Spine CT · the image is 256 mm wide · sagittal reformat
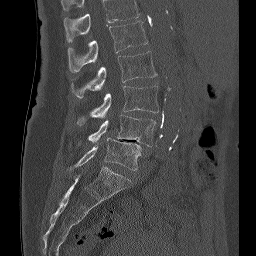

Boxes: x1 y1 x2 y2 (pixel coords, space-separated).
In this scan, the topmost labeled vertebra is L1 and the lowest is L5.
Vertebra bounding boxes:
- L1: 68 21 147 72
- L2: 71 51 157 97
- L3: 77 85 159 124
- L4: 88 115 155 146
- L5: 70 138 141 170